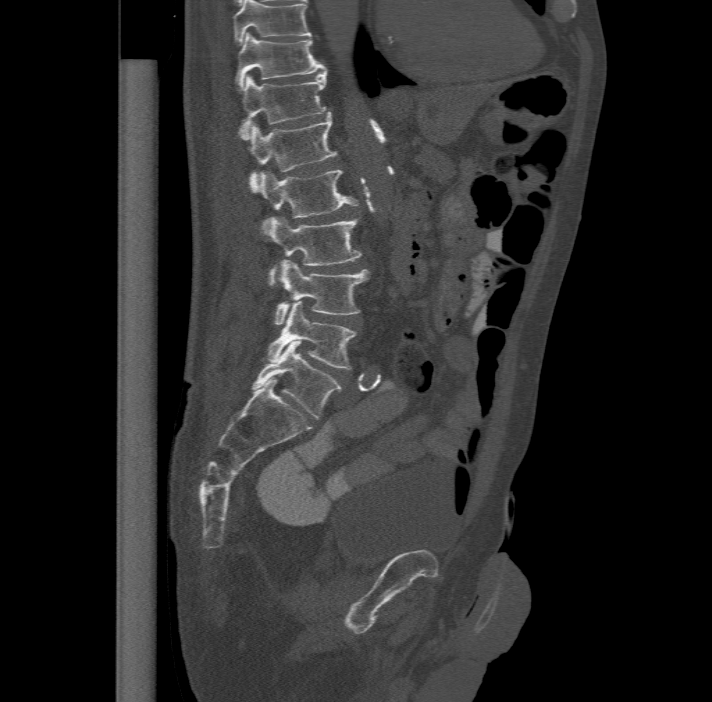

CT spine; sagittal view; the image spans 477 mm across; W/L 1800/400 HU

Boxes: x1:y1:x2:y2 in pixels.
This scan's labels start at T11 at the top and end at L6 at the bottom.
In these labels the spine has an L6, a sixth lumbar vertebra below L5.
Vertebra bounding boxes:
- L6: 252:340:341:419
- L5: 267:301:355:368
- L4: 274:258:367:324
- L3: 268:216:362:285
- L2: 257:168:359:232
- L1: 248:112:338:190
- T12: 239:67:327:138
- T11: 236:32:324:88